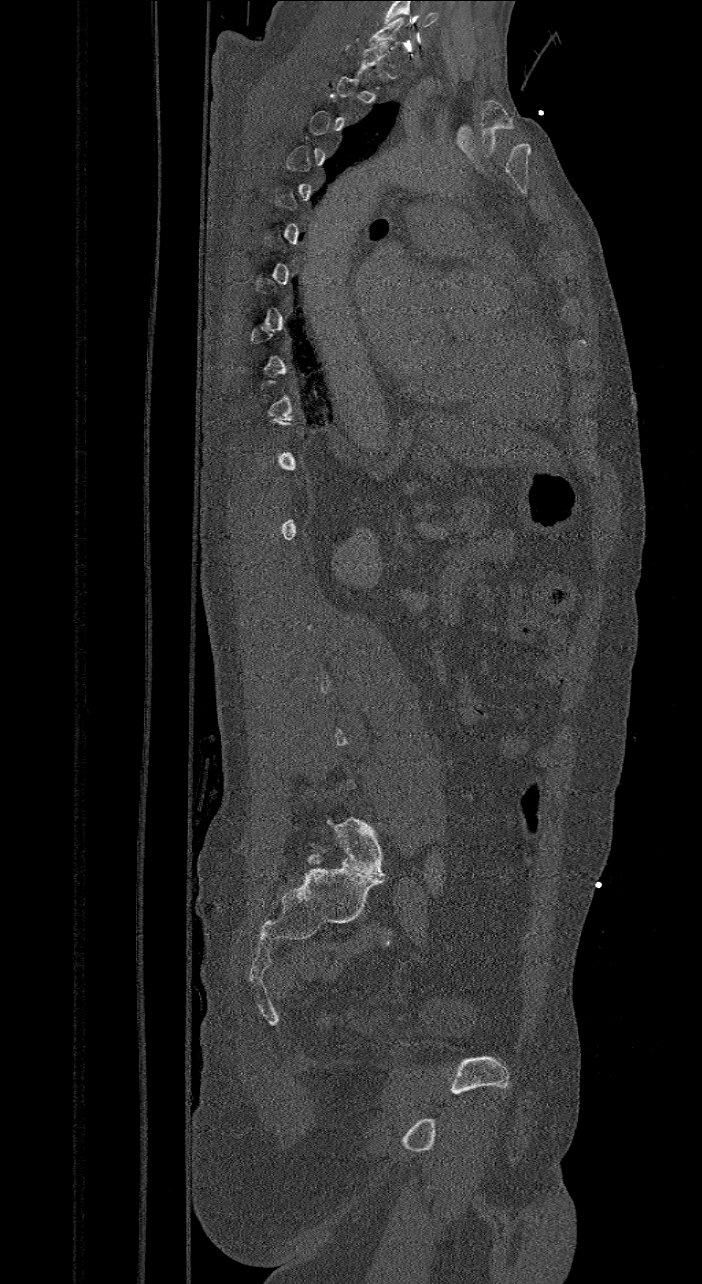
Computed tomography of the spine; sagittal view; bone-window reconstruction. Coordinates as <box>x1,y1,x2,y2</box>.
Each vertebra is boxed only on the slices from the first to the last where its cross-section reaches a third of its largest, so a slice outside that range leaves it unboxed.
In this scan, the topmost labeled vertebra is C7 and the lowest is L6.
The labels name a sixth lumbar vertebra for this spine: L6, after L5.
L6: <box>326,817,384,877</box>
C7: <box>369,18,407,53</box>